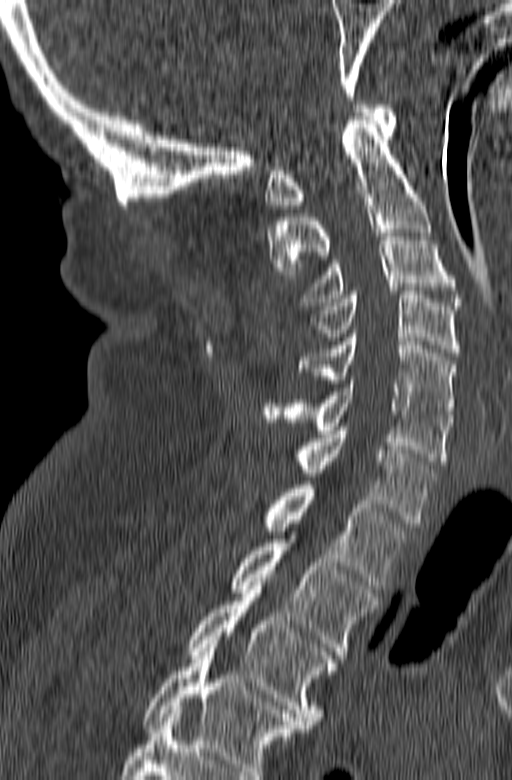
Computed tomography of the spine · sagittal reformat

Bounding boxes as [x1, y1, x2, y2] in pixel coordinates. Labels in this scan begin with C1 at the top and end with T3 at the bottom. The labeled vertebrae in this slice are: T3 at [186, 586, 336, 728], T2 at [232, 539, 379, 658], T1 at [263, 481, 411, 589], C7 at [298, 427, 436, 527], C6 at [261, 380, 452, 464], C5 at [299, 334, 456, 418], C4 at [309, 291, 460, 356], C3 at [302, 229, 464, 309], C2 at [267, 116, 431, 278], C1 at [265, 105, 397, 208].